CT; Sagittal slice 52/168; image 168 mm wide; 168x509 px
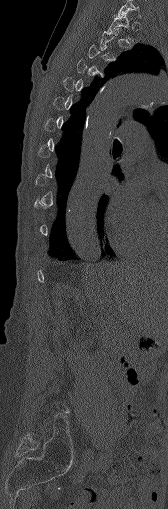 Each vertebra maps to its box as [x1, y1, x2, y2], the pixel coordinates of its top-left and bottom-right corners.
A vertebra is boxed only from the first to the last slice where its cross-section is at least a third of its largest; slices outside that range leave it without a box.
{"vertebrae":{"C7":[117,0,140,17],"T1":[108,12,132,40]}}